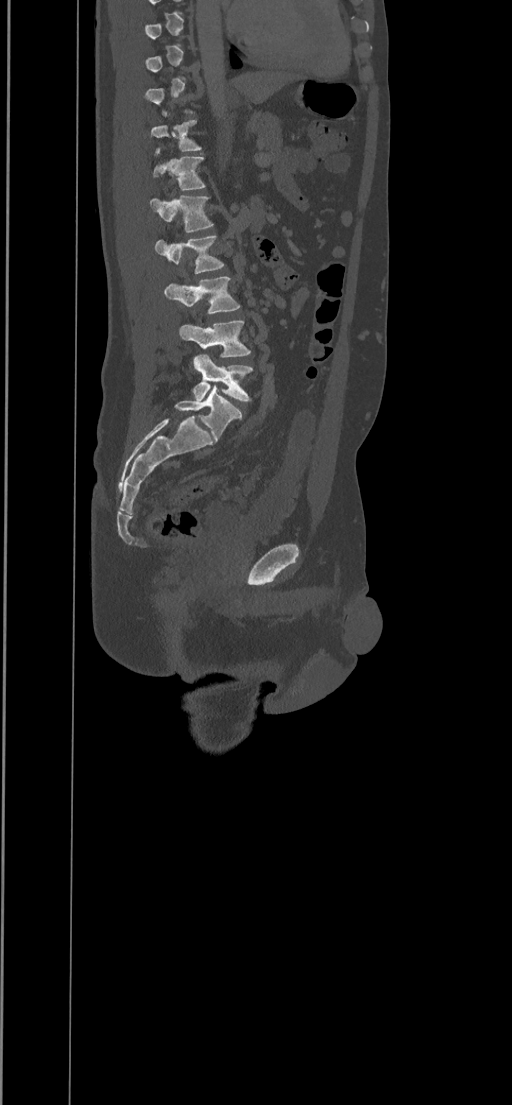 CT, spine; sagittal view; Bone window (WL 400, WW 1800)
Box values are [left, top, right, bottom] in pixels.
A vertebra is boxed only from the first to the last slice where its cross-section is at least a third of its largest; slices outside that range leave it without a box.
{"vertebrae":{"L5":[192,354,253,401],"L4":[179,320,251,357],"L3":[164,276,241,314],"L2":[155,235,225,274],"L1":[150,194,214,232],"T12":[153,149,205,190],"T11":[151,119,200,156]}}